Spine computed tomography; 162 mm wide; sagittal view
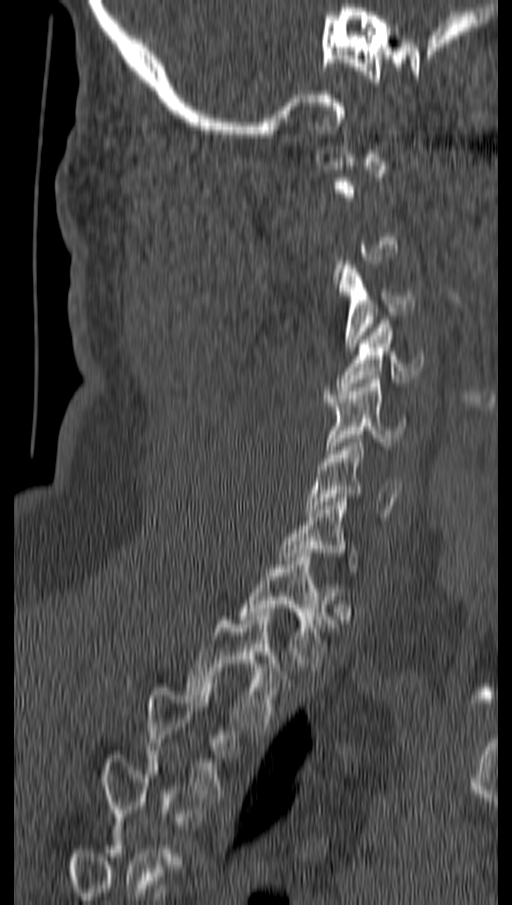
A vertebra gets a box only on the slices from the first to the last where its cross-section is at least a third of its largest; on a slice outside that range it gets none.
<vertebrae><v name="C3" x1="339" y1="261" x2="414" y2="351"/><v name="C4" x1="336" y1="320" x2="423" y2="390"/><v name="C5" x1="326" y1="379" x2="405" y2="453"/><v name="C6" x1="304" y1="439" x2="402" y2="513"/><v name="T1" x1="238" y1="557" x2="334" y2="667"/><v name="T2" x1="187" y1="616" x2="291" y2="730"/><v name="T3" x1="146" y1="687" x2="237" y2="801"/></vertebrae>